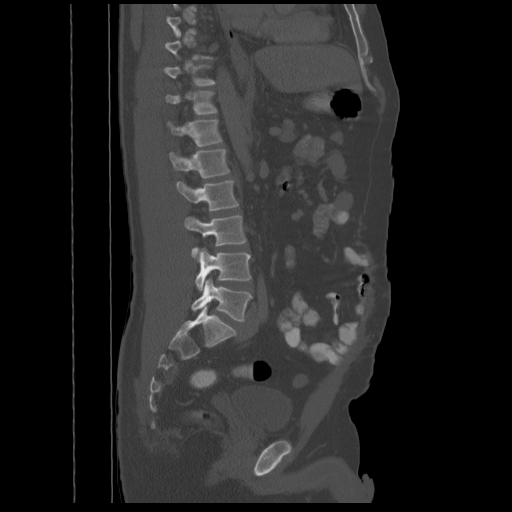

Spine CT. sagittal view
Boxes are (x1, y1, x2, y2) in pixels.
Not every vertebra on this slice has a box: a vertebra is boxed only from the first to the last slice where its cross-section is at least a third of its largest, and this slice is outside that range for at least one of them.
Vertebra bounding boxes:
- L5: (192, 278, 252, 321)
- L4: (195, 248, 251, 290)
- L3: (185, 215, 246, 256)
- L2: (177, 180, 238, 210)
- L1: (169, 149, 230, 177)
- T12: (167, 119, 222, 146)
- T11: (165, 91, 217, 114)
- T10: (163, 65, 215, 85)